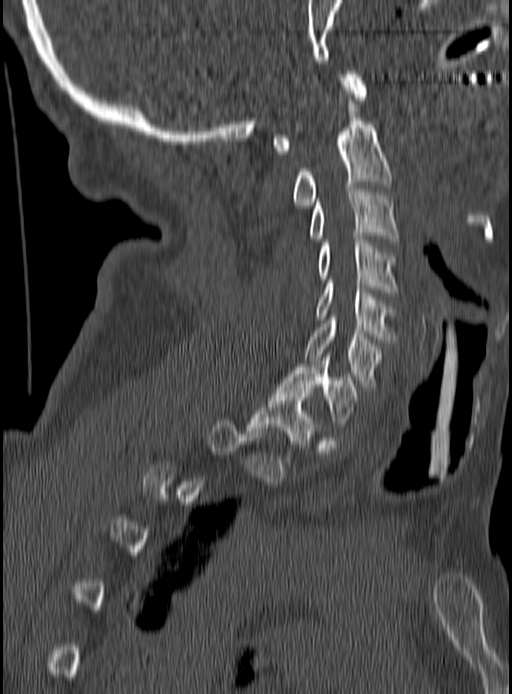
Spine CT; sagittal view; 190 mm image width
Boxes: x1 y1 x2 y2 (pixel coords, space-separated). A vertebra gets a box only on the slices from the first to the last where its cross-section is at least a third of its largest; on a slice outside that range it gets none. The labeled vertebrae in this slice are: C1 at 271 71 366 154, C2 at 292 104 391 208, C3 at 311 189 399 242, C4 at 319 232 396 295, C5 at 316 283 393 339, C6 at 305 317 380 390, C7 at 278 357 359 423, T1 at 249 391 315 444.